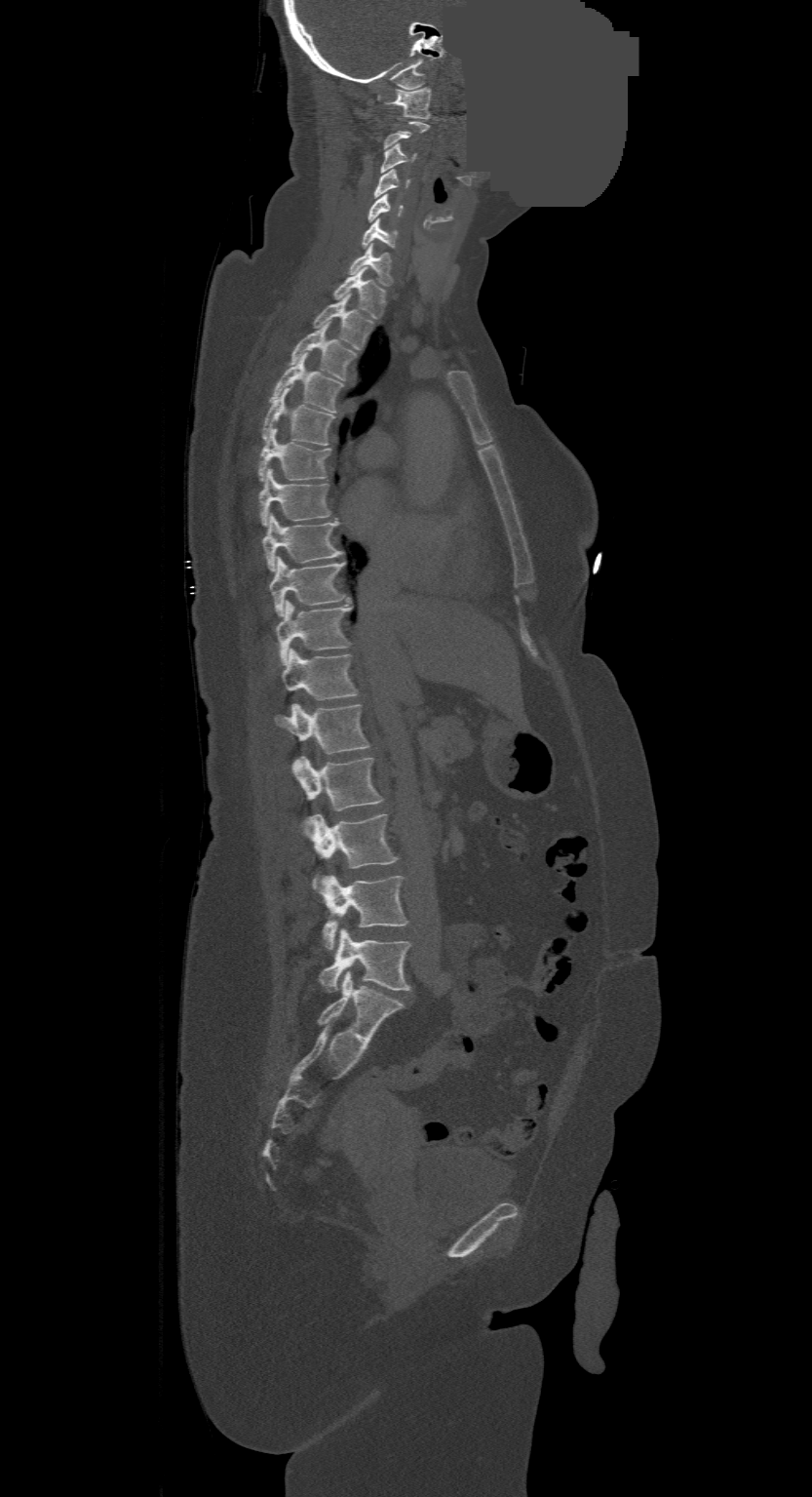
CT · sagittal view · 500 mm wide · a region of this slice is masked with a uniform fill

Each box given as x1,y1,x2,y2.
Each vertebra is boxed only on the slices from the first to the last where its cross-section reaches a third of its largest, so a slice outside that range leaves it unboxed.
In this scan, the topmost labeled vertebra is C1 and the lowest is L4.
L4: x1=319, y1=928, x2=410, y2=993
L3: x1=322, y1=875, x2=408, y2=950
L2: x1=313, y1=814, x2=398, y2=890
L1: x1=291, y1=756, x2=383, y2=827
T12: x1=276, y1=702, x2=368, y2=754
T11: x1=283, y1=649, x2=358, y2=700
T10: x1=276, y1=602, x2=351, y2=666
T9: x1=270, y1=556, x2=346, y2=617
T8: x1=263, y1=514, x2=342, y2=571
T7: x1=258, y1=468, x2=330, y2=526
T6: x1=258, y1=429, x2=330, y2=482
T5: x1=262, y1=387, x2=335, y2=445
T4: x1=270, y1=355, x2=343, y2=413
T3: x1=289, y1=326, x2=356, y2=379
T2: x1=313, y1=295, x2=373, y2=349
T1: x1=333, y1=268, x2=386, y2=318
C7: x1=349, y1=244, x2=393, y2=286
C6: x1=362, y1=218, x2=398, y2=248
C5: x1=367, y1=194, x2=404, y2=222
C4: x1=374, y1=170, x2=410, y2=198
C3: x1=381, y1=143, x2=414, y2=172
C1: x1=386, y1=87, x2=431, y2=118